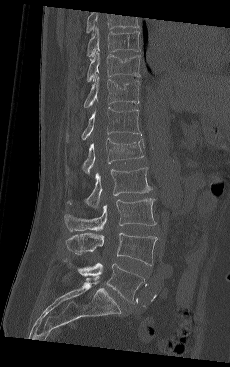 CT — sagittal view — image 230 mm wide — 230x367 px
The highest labeled vertebra in this scan is T9; the lowest is L5.
<vertebrae><v name="T9" x1="86" y1="27" x2="141" y2="57"/><v name="T10" x1="86" y1="49" x2="141" y2="81"/><v name="T11" x1="83" y1="75" x2="140" y2="108"/><v name="T12" x1="65" y1="107" x2="141" y2="142"/><v name="L1" x1="65" y1="138" x2="144" y2="174"/><v name="L2" x1="66" y1="167" x2="151" y2="209"/><v name="L3" x1="64" y1="198" x2="156" y2="231"/><v name="L4" x1="65" y1="232" x2="157" y2="265"/><v name="L5" x1="64" y1="259" x2="145" y2="302"/></vertebrae>